Spine computed tomography — sagittal view — 673x603 px
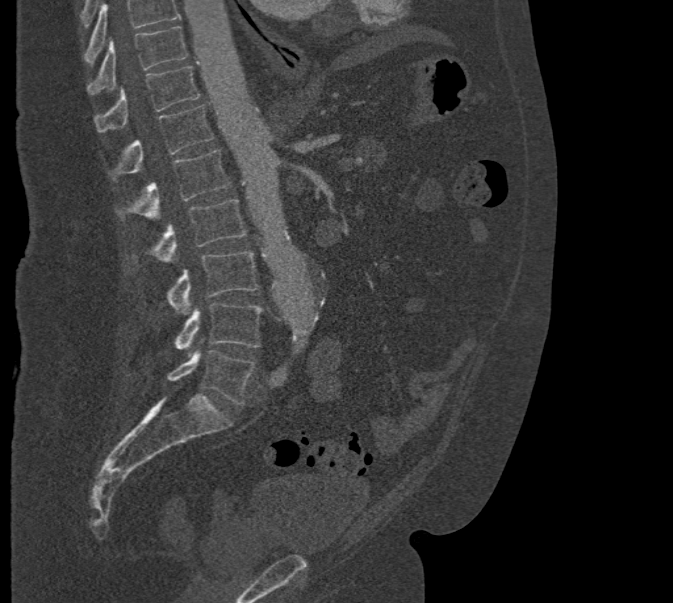

Coordinates as <box>x1,y1,x2,y2</box>.
Where the top of the scan cuts through a vertebra, that vertebra gets no label or box.
T10: <box>87,26,187,94</box>
T11: <box>95,66,199,132</box>
T12: <box>110,105,213,179</box>
L1: <box>116,149,230,219</box>
L2: <box>134,199,246,262</box>
L3: <box>167,250,259,314</box>
L4: <box>175,303,262,349</box>
L5: <box>167,350,255,404</box>